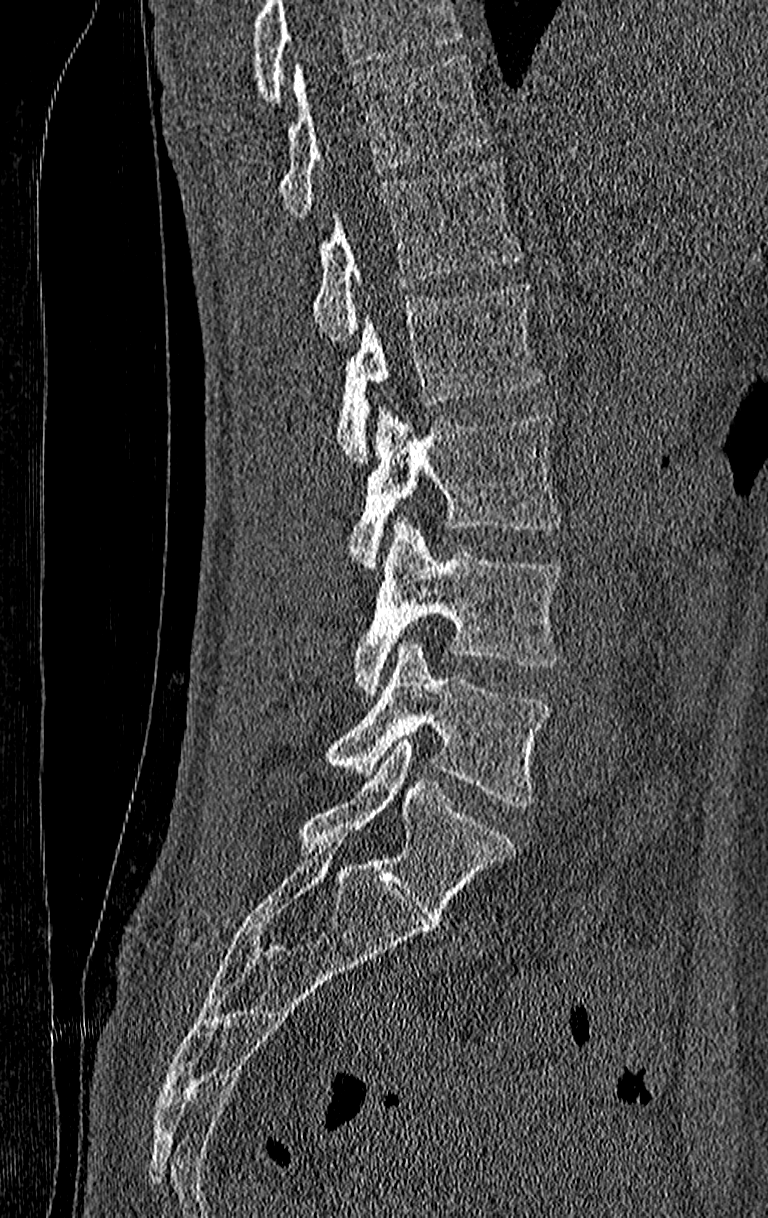

CT, spine. sagittal reformat

Box edges are left/top/right/bottom in pixels.
No box is given to a vertebra that the top edge of the scan cuts off.
This scan's labels start at T11 at the top and end at L4 at the bottom.
Vertebra bounding boxes:
- T11: left=280, top=56, right=491, bottom=220
- T12: left=313, top=161, right=521, bottom=343
- L1: left=335, top=283, right=543, bottom=461
- L2: left=350, top=406, right=561, bottom=570
- L3: left=353, top=517, right=561, bottom=695
- L4: left=326, top=640, right=550, bottom=804